CT, spine. the image is 210 mm wide. sagittal reformat. bone-window reconstruction. 210x292 px
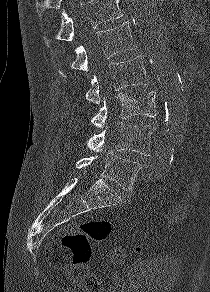 No box is given to a vertebra that the top edge of the scan cuts off.
<vertebrae><v name="L1" x1="58" y1="21" x2="136" y2="76"/><v name="L2" x1="85" y1="56" x2="147" y2="104"/><v name="L3" x1="90" y1="91" x2="156" y2="128"/><v name="L4" x1="87" y1="122" x2="155" y2="155"/><v name="L5" x1="76" y1="152" x2="141" y2="191"/></vertebrae>